CT; Sagittal slice 91/154; 154 mm across the image; 154x295 px
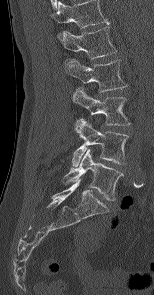 Columns x1, y1, x2, y2 give each box's top-left and bottom-right pixels.
In this scan, the topmost labeled vertebra is L1 and the lowest is L5.
| vertebra | x1 | y1 | x2 | y2 |
|---|---|---|---|---|
| L1 | 61 | 26 | 117 | 59 |
| L2 | 64 | 59 | 125 | 91 |
| L3 | 73 | 87 | 129 | 125 |
| L4 | 72 | 118 | 127 | 166 |
| L5 | 64 | 149 | 123 | 200 |